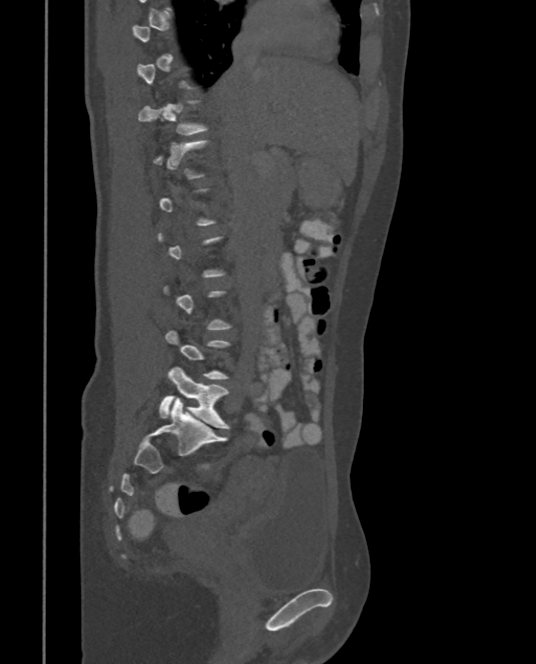 Spine computed tomography — sagittal view — 536x664 px
In the table, x1 and y1 are a box's top-left corner and x2 and y2 its bottom-right corner, in pixels.
A vertebra is boxed only from the first to the last slice where its cross-section is at least a third of its largest; slices outside that range leave it without a box.
| vertebra | x1 | y1 | x2 | y2 |
|---|---|---|---|---|
| T11 | 138 | 100 | 209 | 141 |
| L5 | 160 | 367 | 229 | 429 |